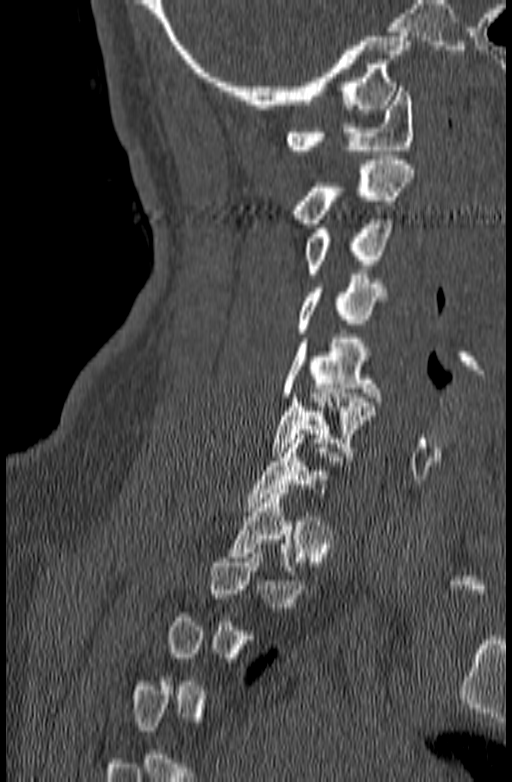

Spine CT; sagittal view. Boxes are (x1, y1, x2, y2) in pixels. A vertebra is boxed only from the first to the last slice where its cross-section is at least a third of its largest; slices outside that range leave it without a box. The labeled vertebrae in this slice are: C1 at (285, 87, 414, 154), C2 at (290, 160, 416, 223), C3 at (305, 215, 392, 278), C4 at (297, 274, 386, 333), C5 at (282, 334, 381, 401), C6 at (271, 389, 376, 456), C7 at (244, 434, 352, 511).